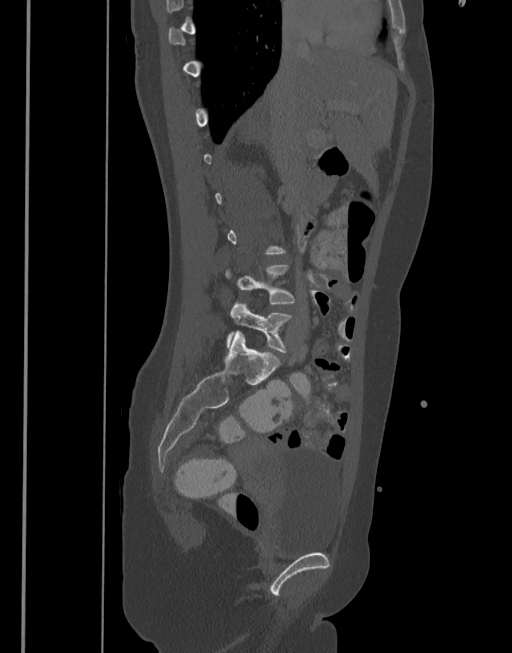
Spine computed tomography. sagittal view. 377 mm across the image. Bone window (WL 400, WW 1800)
Each box is [x1, y1, x2, y2] in pixels: top-left corner, then bottom-right corner.
A vertebra is boxed only from the first to the last slice where its cross-section is at least a third of its largest; slices outside that range leave it without a box.
{"vertebrae":{"L4":[225,264,295,305],"L5":[226,303,294,353]}}